CT spine; Sagittal slice 234/512; 512x842 px; 386 mm across the image
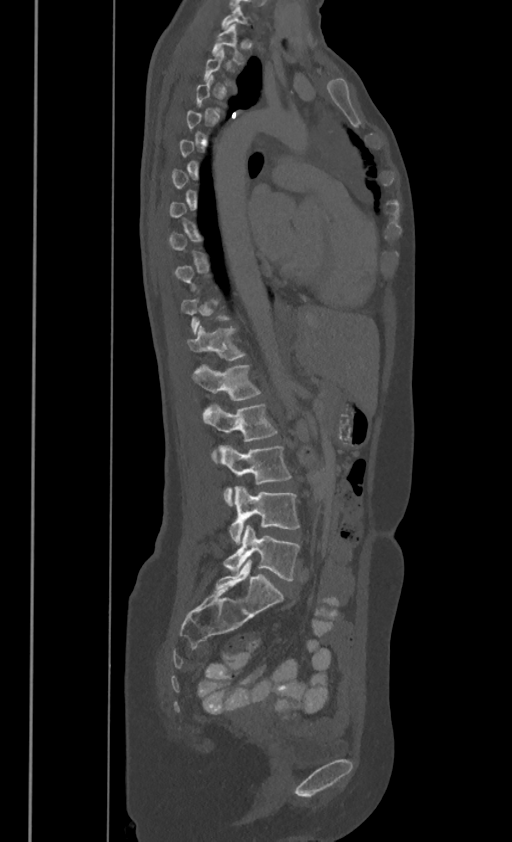
Coordinates as <box>x1,y1,x2,y2</box>.
A vertebra gets a box only on the slices from the first to the last where its cross-section is at least a third of its largest; on a slice outside that range it gets none.
In these labels the thoracic vertebrae end at T11, so L1 follows T11.
Vertebra bounding boxes:
- L5: <box>224,525,299,580</box>
- L4: <box>229,486,299,543</box>
- L3: <box>215,445,291,505</box>
- L2: <box>203,402,276,457</box>
- L1: <box>192,364,259,399</box>
- T11: <box>188,325,243,360</box>
- T1: <box>212,24,243,61</box>